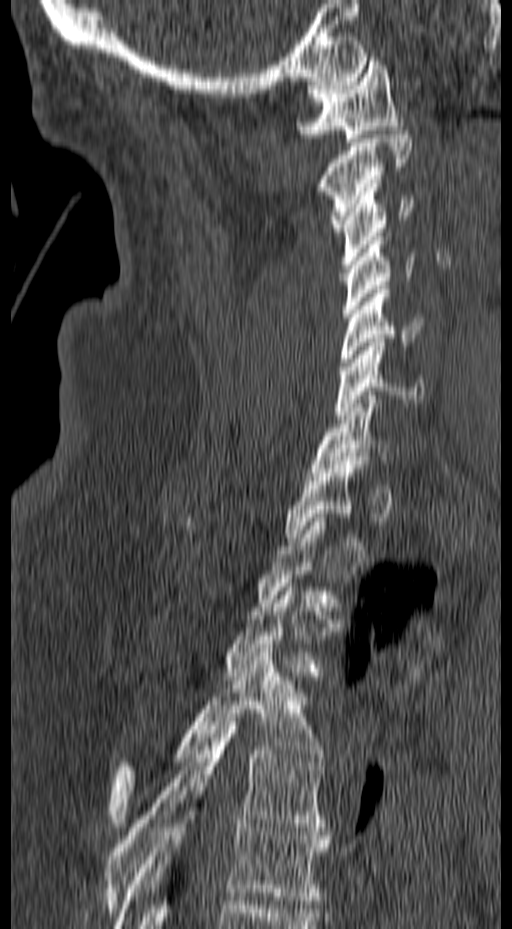
CT spine — sagittal view — Bone window (WL 400, WW 1800) — 512x929 px

Boxes are given in columns x1, y1, x2, y2, the pixel coordinates of their top-left and bottom-right corners.
A vertebra gets a box only on the slices from the first to the last where its cross-section is at least a third of its largest; on a slice outside that range it gets none.
| vertebra | x1 | y1 | x2 | y2 |
|---|---|---|---|---|
| C1 | 296 | 57 | 403 | 142 |
| C2 | 317 | 130 | 411 | 231 |
| C3 | 339 | 183 | 414 | 268 |
| C4 | 343 | 232 | 414 | 317 |
| C5 | 339 | 285 | 423 | 370 |
| C6 | 334 | 338 | 424 | 419 |
| C7 | 311 | 391 | 392 | 476 |
| T1 | 285 | 457 | 369 | 541 |
| T4 | 110 | 648 | 323 | 827 |
| T5 | 102 | 717 | 326 | 912 |
| T6 | 115 | 787 | 330 | 928 |